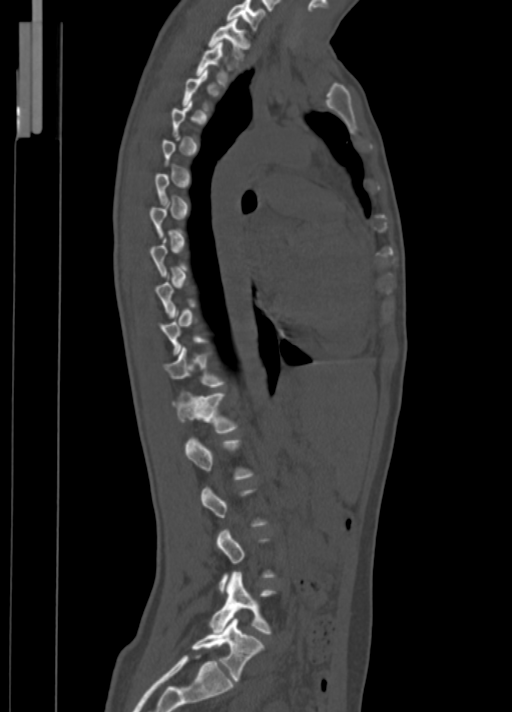 Computed tomography of the spine; sagittal reformat; Bone window (WL 400, WW 1800); 512x712 px

Boxes: x1 y1 x2 y2 (pixel coords, space-separated).
A vertebra gets a box only on the slices from the first to the last where its cross-section is at least a third of its largest; on a slice outside that range it gets none.
Vertebra bounding boxes:
- C7: 227 0 264 30
- T1: 207 19 249 59
- T2: 196 42 227 85
- T11: 164 347 224 387
- T12: 172 391 236 433
- L4: 209 572 274 634
- L5: 191 617 264 681